CT spine · Sagittal slice 308/512 · W/L 1800/400 HU · image width 200 mm · scan covers 10 annotated vertebrae
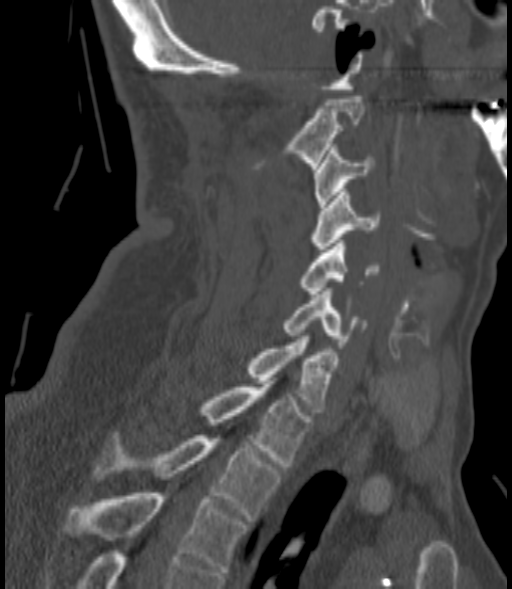

Columns x1, y1, x2, y2 give each box's top-left and bottom-right pixels.
| vertebra | x1 | y1 | x2 | y2 |
|---|---|---|---|---|
| T3 | 65 | 493 | 246 | 572 |
| T2 | 93 | 432 | 281 | 521 |
| T1 | 198 | 384 | 310 | 466 |
| C7 | 247 | 336 | 338 | 412 |
| C6 | 282 | 288 | 367 | 348 |
| C5 | 298 | 240 | 379 | 293 |
| C4 | 311 | 189 | 379 | 249 |
| C3 | 313 | 147 | 373 | 207 |
| C2 | 254 | 96 | 363 | 169 |